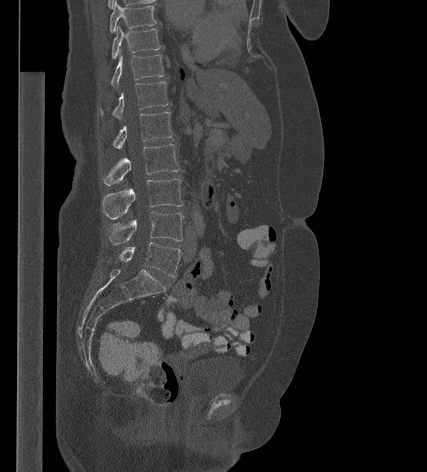

Spine computed tomography. sagittal reformat. bone window. 427x472 px

Columns x1, y1, x2, y2 give each box's top-left and bottom-right pixels.
| vertebra | x1 | y1 | x2 | y2 |
|---|---|---|---|---|
| T9 | 109 | 1 | 156 | 32 |
| T10 | 111 | 27 | 160 | 59 |
| T11 | 111 | 54 | 163 | 87 |
| T12 | 100 | 81 | 168 | 118 |
| L1 | 112 | 112 | 172 | 148 |
| L2 | 102 | 144 | 179 | 185 |
| L3 | 102 | 178 | 182 | 219 |
| L4 | 109 | 212 | 183 | 244 |
| L5 | 118 | 242 | 181 | 277 |